CT, spine; Sagittal slice 234/512; 150 mm across the image; bone window; 512x943 px; scan covers 11 annotated vertebrae
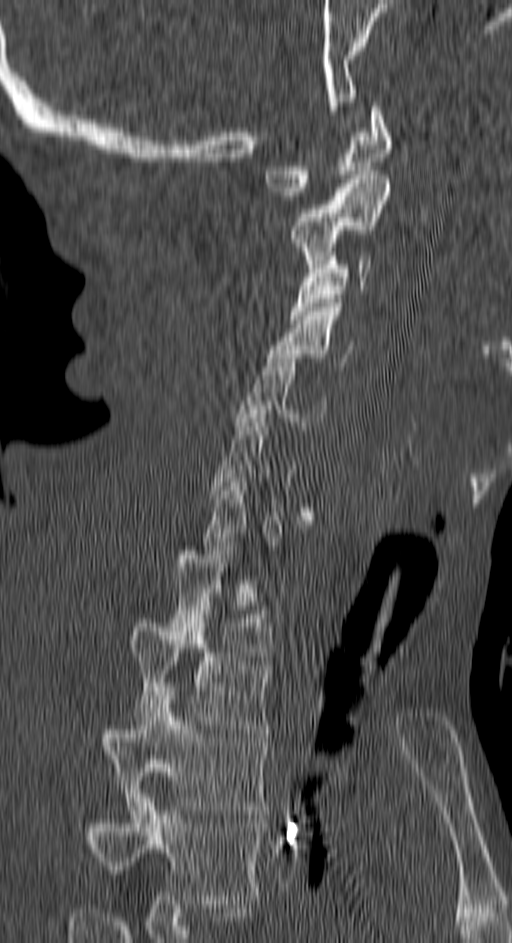
A vertebra gets a box only on the slices from the first to the last where its cross-section is at least a third of its largest; on a slice outside that range it gets none.
In this scan, the topmost labeled vertebra is C1 and the lowest is T4.
<vertebrae><v name="T4" x1="90" y1="794" x2="263" y2="904"/><v name="T3" x1="104" y1="691" x2="270" y2="814"/><v name="T2" x1="131" y1="614" x2="271" y2="733"/><v name="T1" x1="168" y1="542" x2="273" y2="660"/><v name="C7" x1="203" y1="469" x2="280" y2="554"/><v name="C5" x1="235" y1="354" x2="326" y2="430"/><v name="C4" x1="267" y1="303" x2="355" y2="366"/><v name="C3" x1="291" y1="252" x2="372" y2="319"/><v name="C2" x1="288" y1="175" x2="389" y2="268"/><v name="C1" x1="264" y1="102" x2="393" y2="200"/></vertebrae>